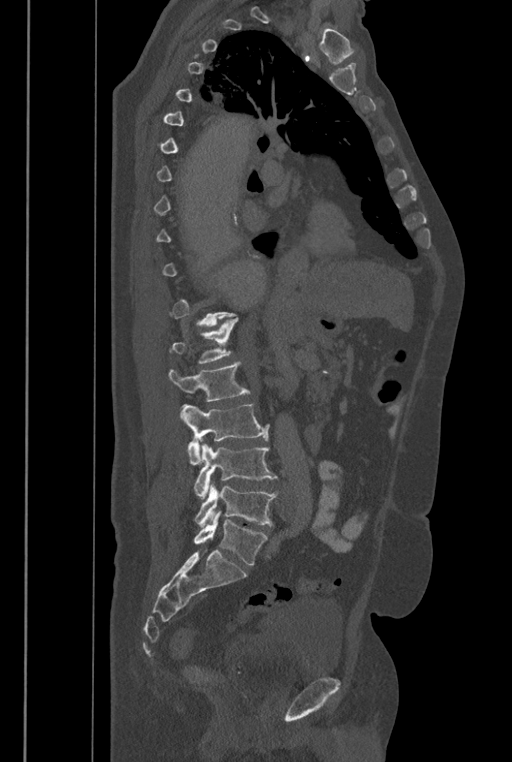 CT spine; sagittal reformat; Bone window (WL 400, WW 1800)
Box edges are left/top/right/bottom in pixels. A vertebra gets a box only on the slices from the first to the last where its cross-section is at least a third of its largest; on a slice outside that range it gets none. These labels give the spine a sixth lumbar vertebra, L6, below L5. Vertebrae labeled: L6 at left=194, top=511, right=268, bottom=565, L5 at left=194, top=481, right=277, bottom=527, L4 at left=194, top=443, right=277, bottom=499, L3 at left=180, top=404, right=269, bottom=465, L2 at left=168, top=362, right=250, bottom=401, L1 at left=171, top=318, right=238, bottom=363.